Spine CT. image 160 mm wide. Sagittal slice 274/512. 512x760 px. scan covers 10 annotated vertebrae
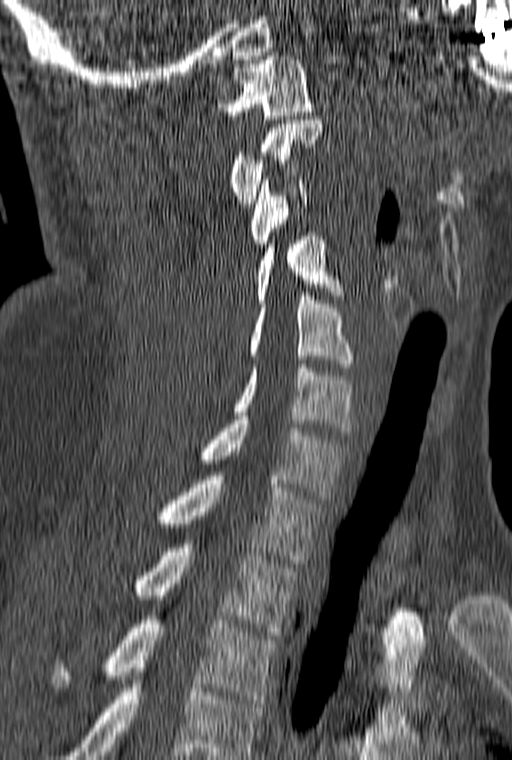

In this scan, the topmost labeled vertebra is C1 and the lowest is T3.
<vertebrae><v name="T3" x1="52" y1="612" x2="279" y2="703"/><v name="T2" x1="132" y1="544" x2="298" y2="635"/><v name="T1" x1="155" y1="472" x2="324" y2="563"/><v name="C7" x1="196" y1="416" x2="349" y2="499"/><v name="C6" x1="232" y1="364" x2="355" y2="431"/><v name="C5" x1="248" y1="292" x2="353" y2="367"/><v name="C4" x1="254" y1="232" x2="343" y2="307"/><v name="C3" x1="250" y1="180" x2="308" y2="247"/><v name="C2" x1="230" y1="120" x2="324" y2="207"/><v name="C1" x1="217" y1="52" x2="313" y2="119"/></vertebrae>